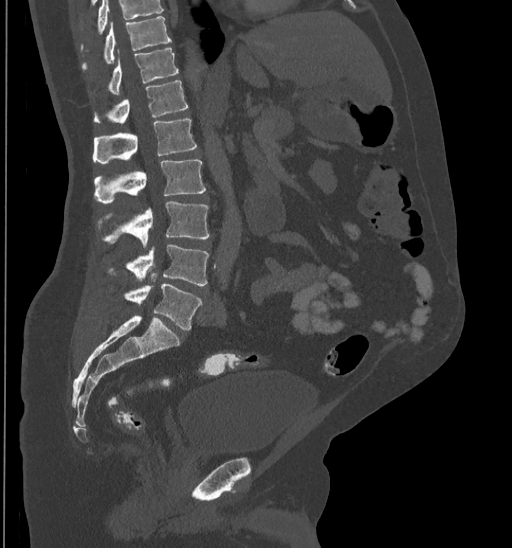
CT — sagittal view — Bone window (WL 400, WW 1800)
Each box given as x1,y1,x2,y2.
Vertebrae that run past the top of the scan are left unlabeled.
Vertebra bounding boxes:
- T10: x1=82, y1=16, x2=172, y2=68
- T11: x1=108, y1=48, x2=178, y2=94
- T12: x1=94, y1=81, x2=187, y2=124
- L1: x1=93, y1=119, x2=197, y2=163
- L2: x1=94, y1=159, x2=205, y2=203
- L3: x1=99, y1=201, x2=210, y2=247
- L4: x1=107, y1=244, x2=208, y2=285
- L5: x1=123, y1=273, x2=201, y2=330